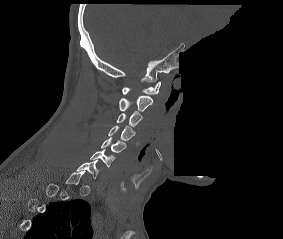

CT spine; sagittal view; image width 283 mm; bone-window reconstruction; a region is blanked to uniform black, ending in a straight edge
A vertebra gets a box only on the slices from the first to the last where its cross-section is at least a third of its largest; on a slice outside that range it gets none.
<vertebrae><v name="C1" x1="122" y1="81" x2="160" y2="94"/><v name="C2" x1="119" y1="95" x2="152" y2="111"/><v name="C3" x1="116" y1="111" x2="142" y2="127"/><v name="C4" x1="108" y1="125" x2="135" y2="141"/><v name="C5" x1="101" y1="137" x2="126" y2="153"/><v name="C6" x1="90" y1="149" x2="115" y2="167"/><v name="C7" x1="76" y1="160" x2="99" y2="178"/></vertebrae>